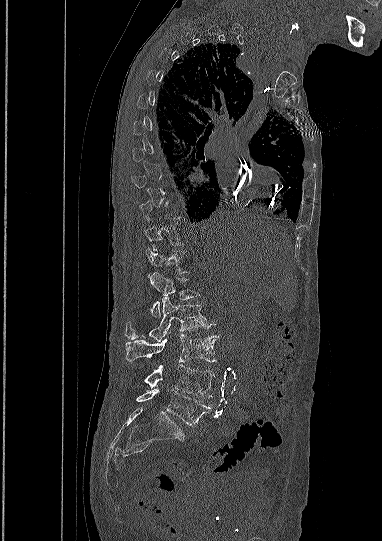

Computed tomography of the spine; sagittal view; Bone window (WL 400, WW 1800)
Each box given as x1,y1,x2,y2.
Not every vertebra on this slice has a box: a vertebra is boxed only from the first to the last slice where its cross-section is at least a third of its largest, and this slice is outside that range for at least one of them.
T12: x1=147, y1=248, x2=186, y2=273
L1: x1=149, y1=273, x2=199, y2=316
L2: x1=125, y1=296, x2=211, y2=341
L3: x1=125, y1=334, x2=216, y2=362
L4: x1=145, y1=364, x2=214, y2=397
L5: x1=136, y1=389, x2=211, y2=426